Spine computed tomography · sagittal reformat · 10 vertebrae labeled in this scan
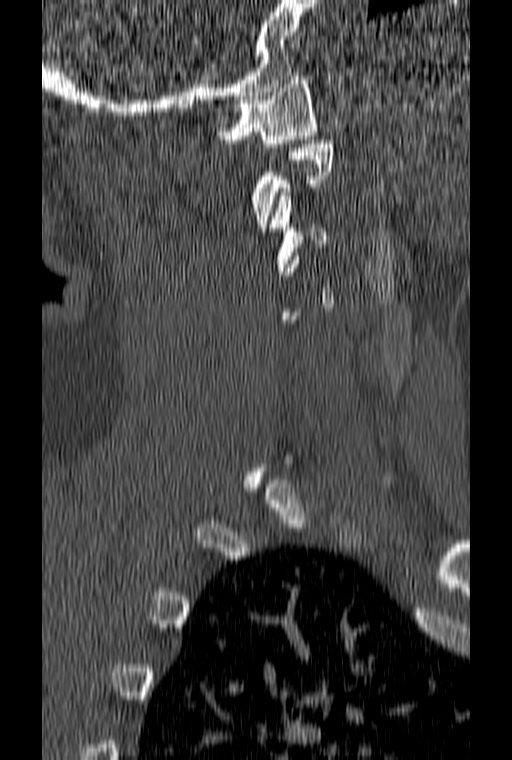

Boxes below are [x1, y1, x2, y2] in pixels.
A vertebra is boxed only from the first to the last slice where its cross-section is at least a third of its largest; slices outside that range leave it without a box.
{"vertebrae":{"C1":[218,76,317,147],"C3":[269,192,326,275]}}